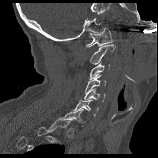

Spine CT — sagittal view

Boxes are given in columns x1, y1, x2, y2, the pixel coordinates of their top-left and bottom-right corners.
Each vertebra is boxed only on the slices from the first to the last where its cross-section reaches a third of its largest, so a slice outside that range leaves it unboxed.
| vertebra | x1 | y1 | x2 | y2 |
|---|---|---|---|---|
| C7 | 63 | 109 | 85 | 126 |
| C6 | 73 | 99 | 98 | 116 |
| C5 | 84 | 88 | 105 | 101 |
| C4 | 85 | 75 | 106 | 92 |
| C3 | 89 | 62 | 109 | 79 |
| C2 | 89 | 44 | 115 | 64 |
| C1 | 86 | 27 | 113 | 47 |